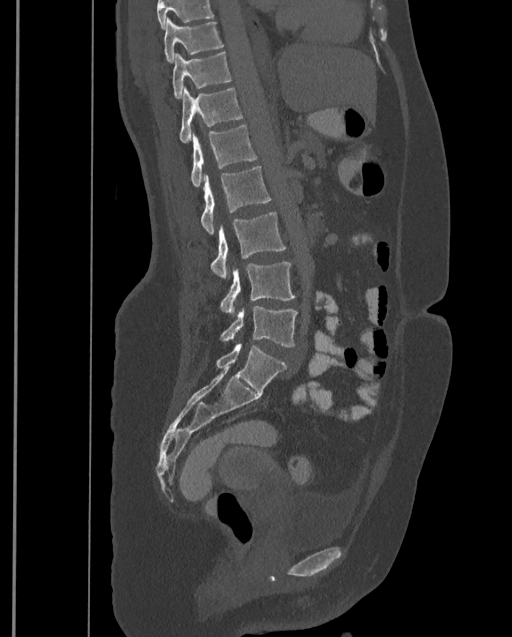 CT, spine; sagittal view; Bone window (WL 400, WW 1800); 512x637 px
Coordinates as <box>x1,y1,x2,y2</box>.
Where the top of the scan cuts through a vertebra, that vertebra gets no label or box.
This scan's labels start at T9 at the top and end at L4 at the bottom.
T9: <box>164,17,223,63</box>
T10: <box>172,51,231,99</box>
T11: <box>180,85,243,143</box>
T12: <box>191,125,257,187</box>
L1: <box>201,166,271,233</box>
L2: <box>211,212,285,278</box>
L3: <box>220,262,295,315</box>
L4: <box>221,306,297,347</box>